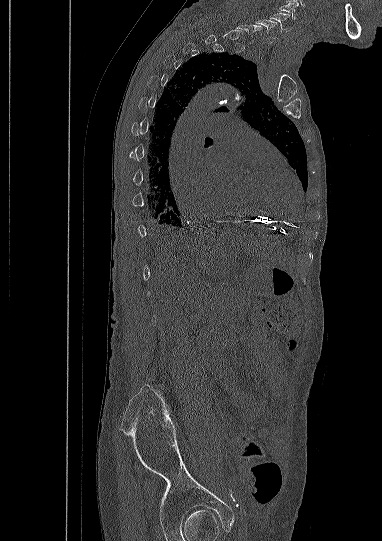

CT — sagittal view — 382 mm across the image. Boxes: x1 y1 x2 y2 (pixel coords, space-separated). A vertebra gets a box only on the slices from the first to the last where its cross-section is at least a third of its largest; on a slice outside that range it gets none. In this scan, the topmost labeled vertebra is C5 and the lowest is L5. 2 vertebrae labeled — C6 at 256 19 277 41; C5 at 269 12 289 32.